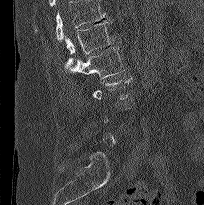

Spine computed tomography; sagittal view; bone-window reconstruction

Each box is [x1, y1, x2, y2] in pixels: top-left corner, then bottom-right corner.
Not every vertebra on this slice has a box: a vertebra is boxed only from the first to the last slice where its cross-section is at least a third of its largest, and this slice is outside that range for at least one of them.
A vertebra cut off by the top edge of the scan is not labeled and has no box.
{"vertebrae":{"L1":[65,20,114,68],"L2":[68,46,124,79]}}